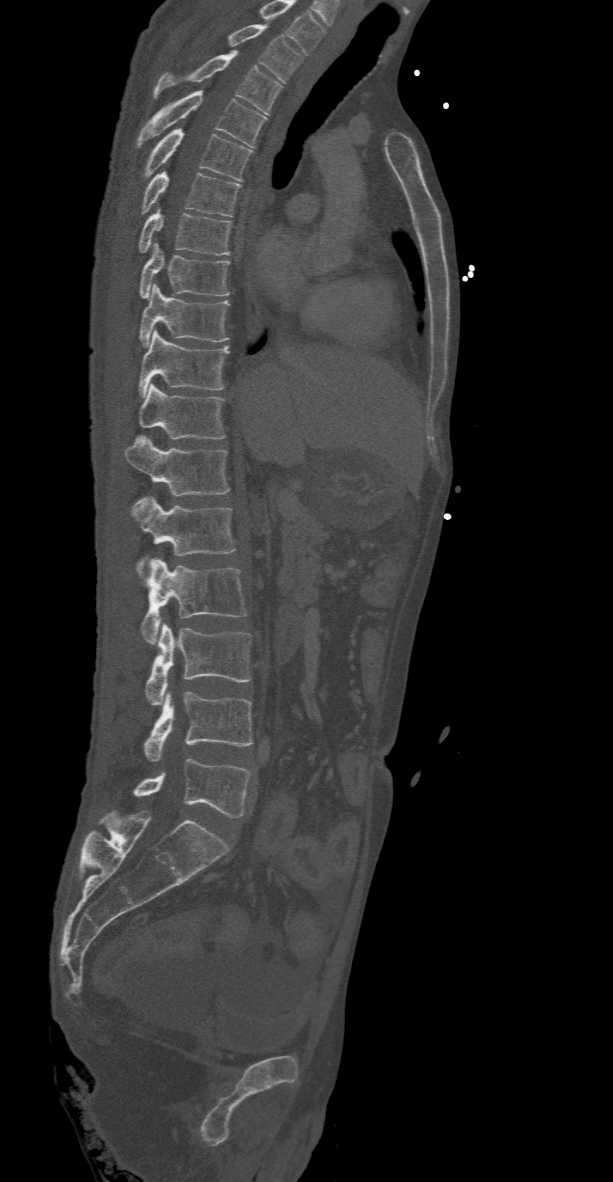 CT spine · sagittal view · bone window · 613x1182 px
Boxes: x1 y1 x2 y2 (pixel coords, space-separated).
The highest labeled vertebra in this scan is T2; the lowest is L5.
Vertebra bounding boxes:
- T2: 226 24 302 83
- T3: 153 51 282 113
- T4: 137 91 267 146
- T5: 143 129 252 180
- T6: 140 171 241 216
- T7: 138 207 230 255
- T8: 140 242 230 298
- T9: 140 284 229 345
- T10: 138 329 229 396
- T11: 138 384 225 438
- T12: 125 436 229 495
- L1: 128 497 235 576
- L2: 141 557 247 645
- L3: 145 622 251 705
- L4: 145 689 252 761
- L5: 133 757 251 818